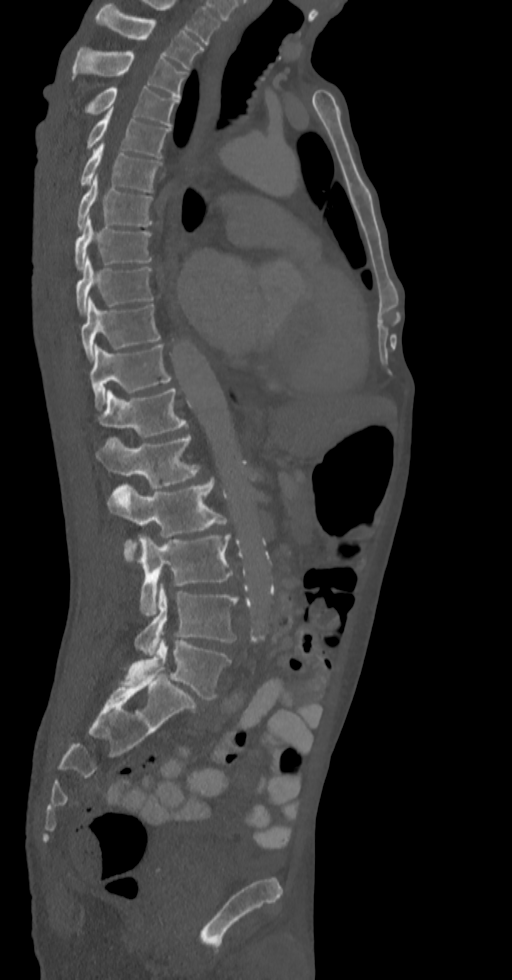 CT spine — sagittal view — bone window
Boxes: x1 y1 x2 y2 (pixel coords, space-separated). 16 vertebrae labeled — T2 at 96 3 203 69; T3 at 71 47 186 98; T4 at 87 87 179 127; T5 at 87 108 169 157; T6 at 80 143 160 191; T7 at 77 175 151 229; T8 at 74 216 151 270; T9 at 76 256 153 314; T10 at 80 297 160 360; T11 at 90 344 171 407; T12 at 96 389 186 438; L1 at 96 436 200 488; L2 at 108 478 233 555; L3 at 124 535 232 616; L4 at 135 584 236 654; L5 at 121 640 230 700.